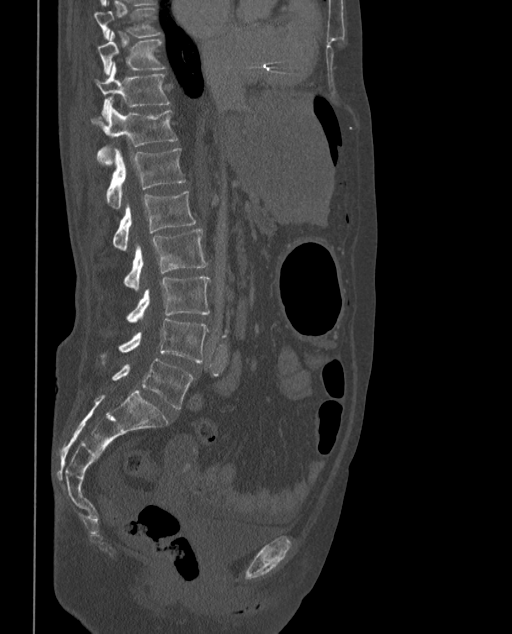 CT, spine — sagittal view — Bone window (WL 400, WW 1800) — 512x634 px
In these labels the spine has an L6, a sixth lumbar vertebra below L5.
<vertebrae><v name="T9" x1="95" y1="7" x2="162" y2="40"/><v name="T10" x1="97" y1="31" x2="165" y2="76"/><v name="T11" x1="96" y1="64" x2="170" y2="118"/><v name="T12" x1="90" y1="105" x2="177" y2="165"/><v name="L1" x1="107" y1="148" x2="185" y2="209"/><v name="L2" x1="112" y1="190" x2="195" y2="250"/><v name="L3" x1="123" y1="229" x2="207" y2="289"/><v name="L4" x1="126" y1="277" x2="210" y2="323"/><v name="L5" x1="100" y1="319" x2="209" y2="365"/><v name="L6" x1="111" y1="358" x2="194" y2="409"/></vertebrae>